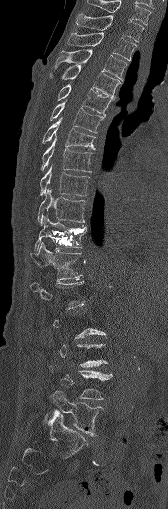

Spine computed tomography. sagittal view. W/L 1800/400 HU. 168x509 px
Coordinates as <box>x1,y1,x2,y2</box>. A vertebra is boxed only from the first to the last slice where its cross-section is at least a third of its largest; slices outside that range leave it without a box. The labeled vertebrae in this slice are: C7 at <box>87,0,150,24</box>, T1 at <box>76,14,144,41</box>, T2 at <box>67,33,136,60</box>, T3 at <box>55,49,127,79</box>, T4 at <box>63,65,119,97</box>, T5 at <box>57,84,113,116</box>, T6 at <box>49,102,103,132</box>, T7 at <box>41,118,95,149</box>, T8 at <box>40,138,91,172</box>, T9 at <box>39,166,89,195</box>, T10 at <box>37,189,85,225</box>, T11 at <box>34,216,87,250</box>, T12 at <box>30,242,81,278</box>, L4 at <box>49,365,112,399</box>, L5 at <box>50,389,103,436</box>.